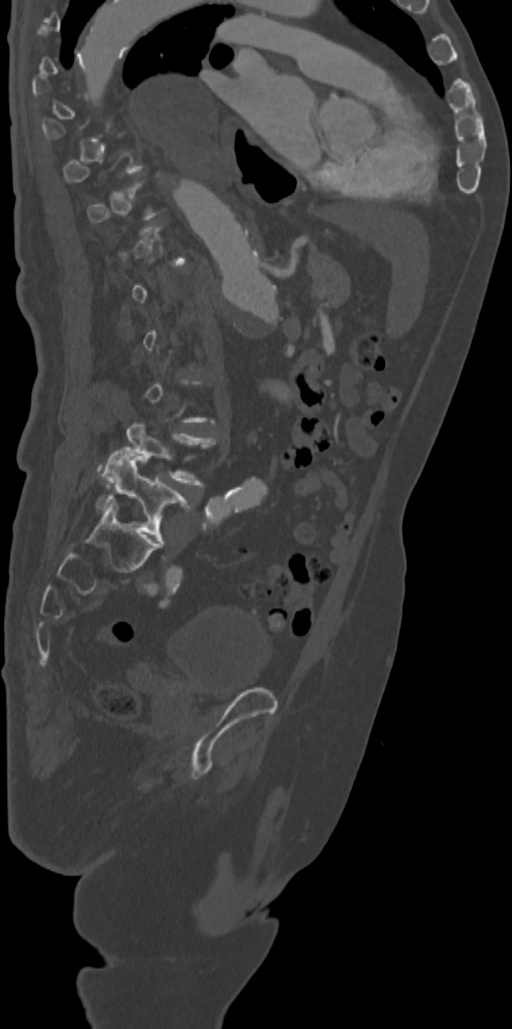

Spine CT · sagittal reformat · bone-window reconstruction · image width 342 mm

Bounding boxes as [x1, y1, x2, y2] in pixel coordinates.
Each vertebra is boxed only on the slices from the first to the last where its cross-section reaches a third of its largest, so a slice outside that range leaves it unboxed.
Vertebra bounding boxes:
- L4: [103, 422, 216, 484]
- L5: [97, 449, 190, 545]